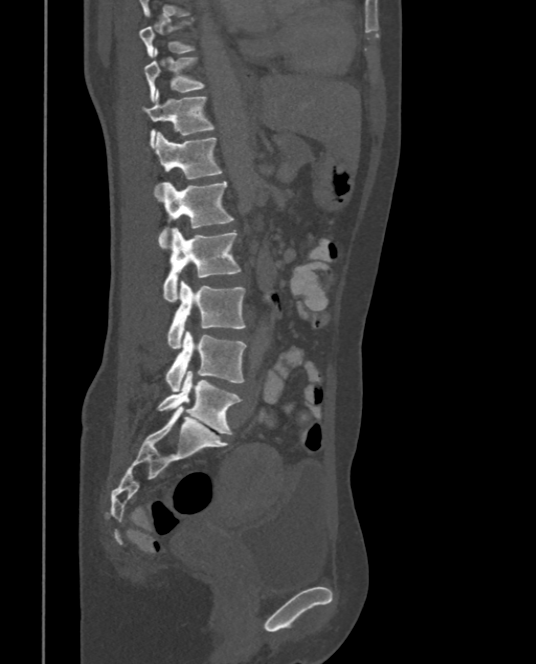 Spine computed tomography · sagittal view
This scan's labels start at T9 at the top and end at L5 at the bottom.
<vertebrae><v name="T9" x1="140" y1="18" x2="196" y2="57"/><v name="T10" x1="144" y1="48" x2="204" y2="102"/><v name="T11" x1="141" y1="90" x2="215" y2="147"/><v name="T12" x1="154" y1="131" x2="223" y2="200"/><v name="L1" x1="159" y1="181" x2="233" y2="249"/><v name="L2" x1="162" y1="227" x2="241" y2="302"/><v name="L3" x1="167" y1="280" x2="246" y2="349"/><v name="L4" x1="165" y1="331" x2="246" y2="392"/><v name="L5" x1="157" y1="371" x2="242" y2="435"/></vertebrae>